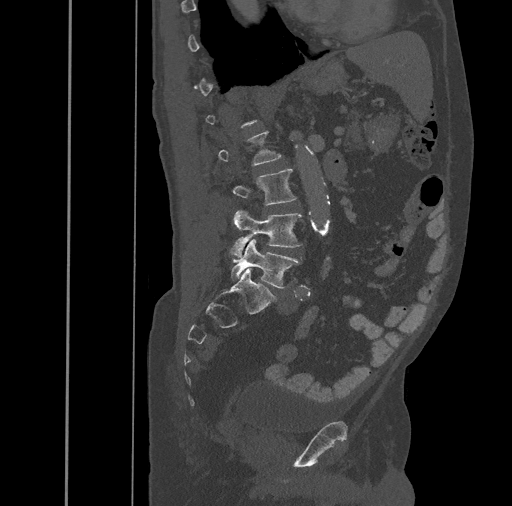 Spine CT; sagittal reformat; Bone window (WL 400, WW 1800)
In the table, x1 and y1 are a box's top-left corner and x2 and y2 its bottom-right corner, in pixels.
Not every vertebra on this slice has a box: a vertebra is boxed only from the first to the last slice where its cross-section is at least a third of its largest, and this slice is outside that range for at least one of them.
| vertebra | x1 | y1 | x2 | y2 |
|---|---|---|---|---|
| L3 | 232 | 168 | 296 | 205 |
| L4 | 229 | 209 | 302 | 257 |
| L5 | 231 | 239 | 301 | 288 |